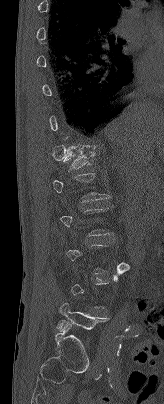 CT spine · 164 mm image width · sagittal view

Box edges are left/top/right/bottom in pixels.
Each vertebra is boxed only on the slices from the first to the last where its cross-section reaches a third of its largest, so a slice outside that range leaves it unboxed.
Vertebra bounding boxes:
- L5: left=57, top=303, right=109, bottom=330
- T12: left=63, top=145, right=97, bottom=169